Computed tomography of the spine · sagittal view · 333 mm wide · 555x689 px · 7 vertebrae labeled in this scan
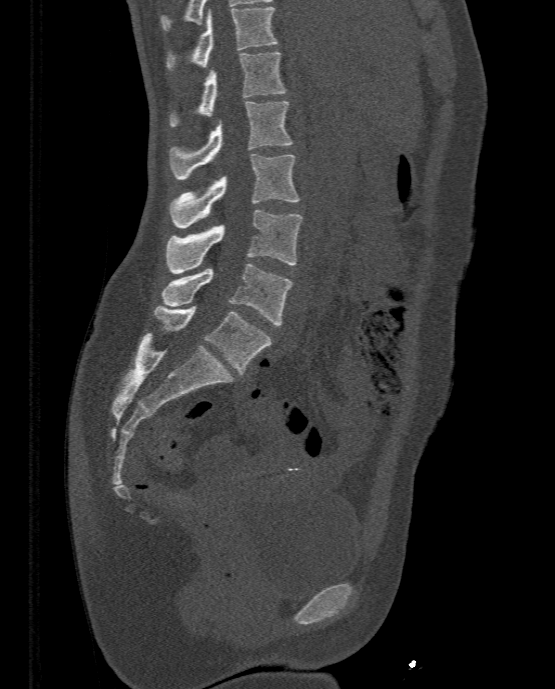

Boxes are (x1, y1, x2, y2) in pixels.
T11: (166, 6, 276, 69)
T12: (169, 52, 285, 126)
L1: (170, 101, 292, 179)
L2: (168, 154, 298, 228)
L3: (166, 210, 303, 273)
L4: (162, 263, 293, 325)
L5: (155, 304, 272, 373)